CT, spine. Sagittal slice 184/444. 444x709 px
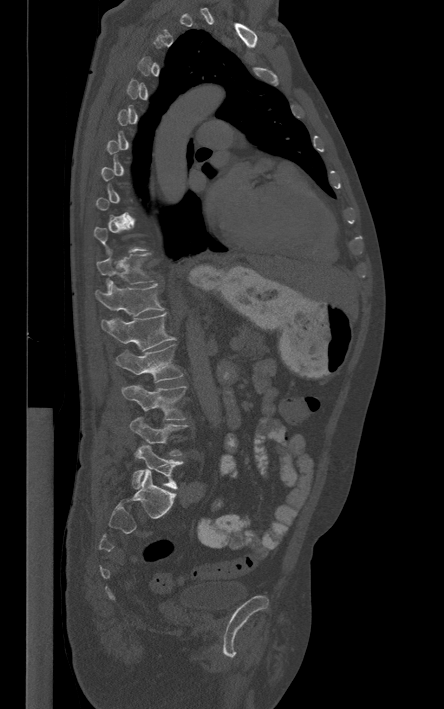 Box edges are left/top/right/bottom in pixels. A vertebra gets a box only on the slices from the first to the last where its cross-section is at least a third of its largest; on a slice outside that range it gets none. The labeled vertebrae in this slice are: L5 at left=132, top=444, right=183, bottom=489, L4 at left=130, top=416, right=187, bottom=455, L3 at left=122, top=384, right=186, bottom=419, L2 at left=115, top=344, right=183, bottom=382, L1 at left=101, top=313, right=174, bottom=350, T12 at left=95, top=280, right=164, bottom=316, T11 at left=97, top=249, right=153, bottom=291.